Spine computed tomography — sagittal view — W/L 1800/400 HU — the image spans 421 mm across — scan covers 19 annotated vertebrae
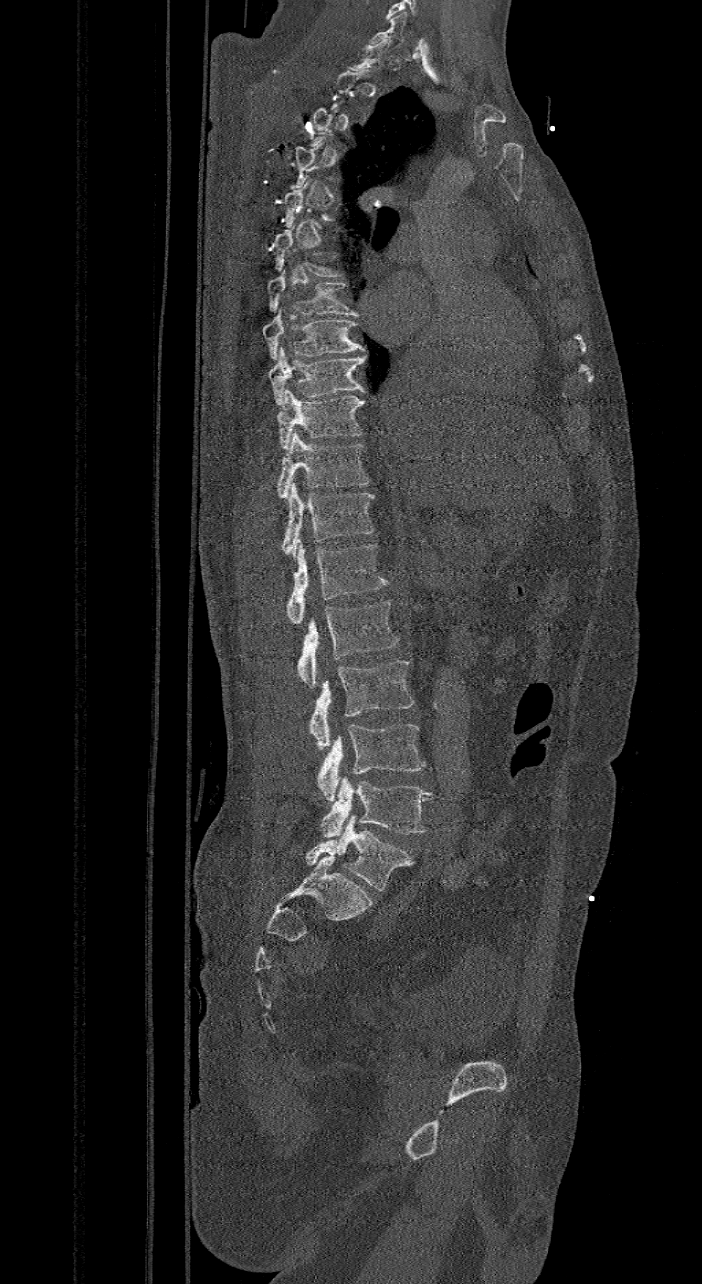 Box values are [left, top, right, bottom] in pixels.
Each vertebra is boxed only on the slices from the first to the last where its cross-section reaches a third of its largest, so a slice outside that range leaves it unboxed.
These labels give the spine a sixth lumbar vertebra, L6, below L5.
{"vertebrae":{"L6":[304,814,414,890],"L5":[319,776,432,837],"L4":[315,724,425,801],"L3":[310,661,414,750],"L2":[299,602,398,688],"L1":[286,543,387,623],"T12":[281,482,375,559],"T11":[277,430,369,498],"T10":[277,389,364,448],"T9":[269,347,365,404],"T8":[262,308,365,359],"T7":[266,268,358,315]}}